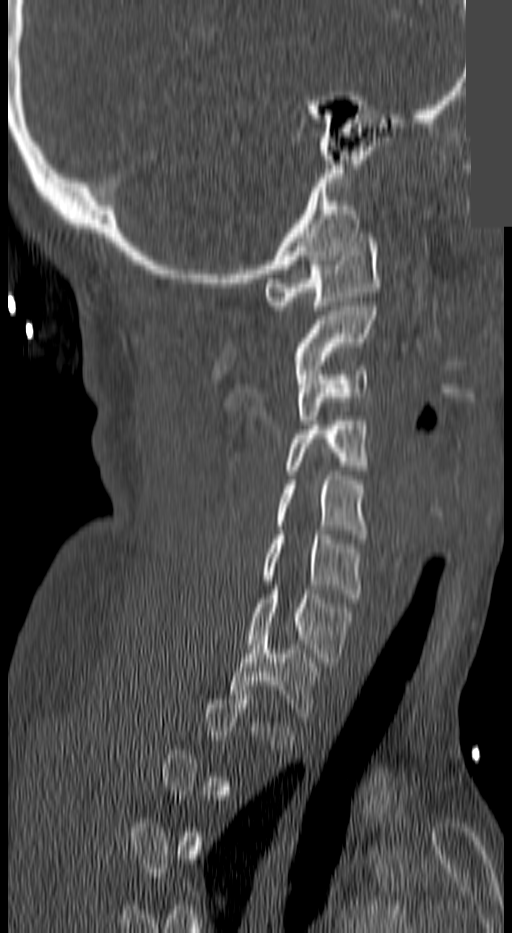
Computed tomography of the spine · sagittal view · bone window · a portion of the image is blanked out (constant pixel value)
Each vertebra maps to its box as [x1, y1, x2, y2], the pixel coordinates of its top-left and bottom-right corners.
Each vertebra is boxed only on the slices from the first to the last where its cross-section reaches a third of its largest, so a slice outside that range leaves it unboxed.
{"vertebrae":{"T1":[230,631,319,721],"C7":[246,590,351,662],"C6":[261,530,359,598],"C5":[276,471,366,538],"C4":[287,421,366,474],"C3":[296,366,366,424],"C2":[294,302,377,374],"C1":[265,238,381,310]}}